CT; sagittal reformat; 175x175 px
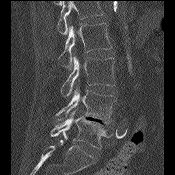 Box edges are left/top/right/bottom in pixels.
Vertebrae that run past the top of the scan are left unlabeled.
| vertebra | x1 | y1 | x2 | y2 |
|---|---|---|---|---|
| L2 | 59 | 22 | 112 | 69 |
| L3 | 61 | 56 | 115 | 96 |
| L4 | 56 | 85 | 116 | 123 |
| L5 | 50 | 110 | 113 | 148 |